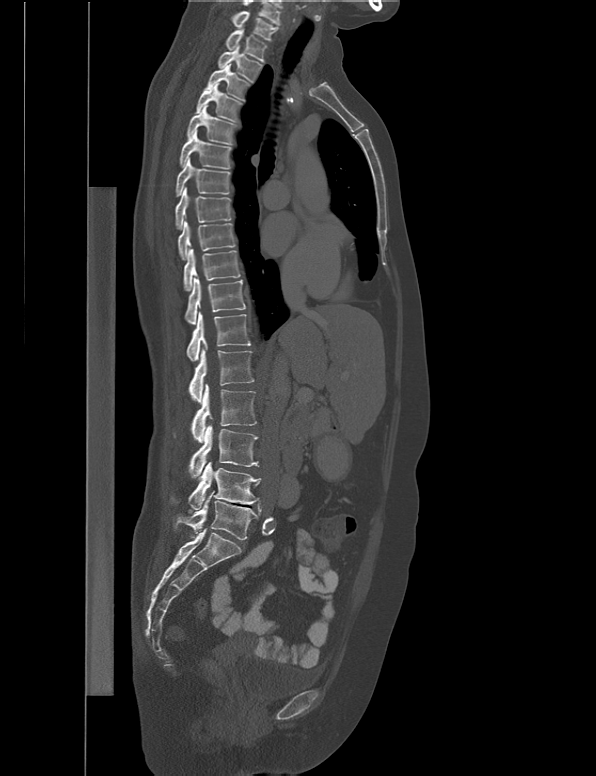
Spine CT — sagittal view — 538 mm wide
Boxes are (x1, y1, x2, y2) in pixels.
Vertebra bounding boxes:
- L5: (172, 490, 258, 540)
- L4: (188, 462, 261, 509)
- L3: (189, 424, 259, 477)
- L2: (190, 384, 256, 442)
- L1: (188, 349, 254, 403)
- T12: (186, 309, 250, 361)
- T11: (184, 277, 245, 324)
- T10: (184, 248, 240, 290)
- T9: (178, 219, 235, 260)
- T8: (175, 187, 231, 229)
- T7: (176, 157, 229, 197)
- T6: (179, 130, 231, 169)
- T5: (187, 104, 236, 144)
- T4: (196, 82, 242, 122)
- T3: (204, 63, 250, 102)
- T2: (217, 45, 261, 82)
- T1: (225, 29, 266, 62)
- C7: (231, 10, 278, 40)